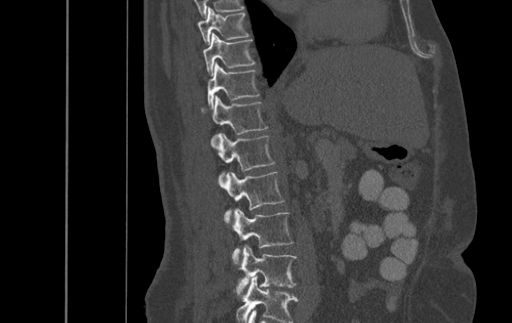
CT, spine · sagittal reformat · the image is 500 mm wide
Boxes: x1 y1 x2 y2 (pixel coords, space-separated).
Labels in this scan begin with T9 at the top and end with L4 at the bottom.
T9: 197 7 248 44
T10: 203 33 254 75
T11: 207 62 259 108
T12: 201 95 267 145
L1: 214 133 274 182
L2: 218 172 284 220
L3: 224 208 293 263
L4: 235 245 296 293